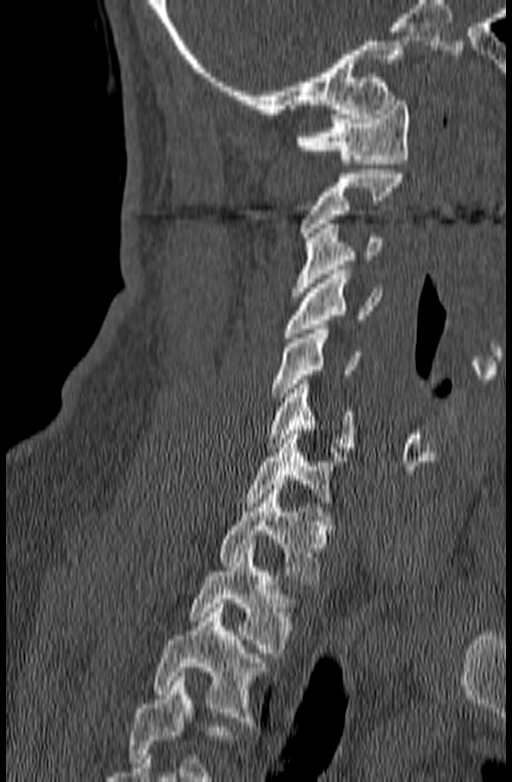
Spine computed tomography · sagittal view
Vertebrae that run past the bottom of the scan are left unlabeled.
<vertebrae><v name="T3" x1="154" y1="603" x2="266" y2="726"/><v name="T2" x1="189" y1="544" x2="297" y2="657"/><v name="T1" x1="221" y1="485" x2="334" y2="584"/><v name="C7" x1="243" y1="430" x2="346" y2="506"/><v name="C6" x1="267" y1="379" x2="355" y2="452"/><v name="C5" x1="271" y1="329" x2="359" y2="401"/><v name="C4" x1="283" y1="270" x2="382" y2="337"/><v name="C3" x1="291" y1="224" x2="381" y2="296"/><v name="C2" x1="300" y1="169" x2="403" y2="241"/><v name="C1" x1="296" y1="96" x2="409" y2="164"/></vertebrae>